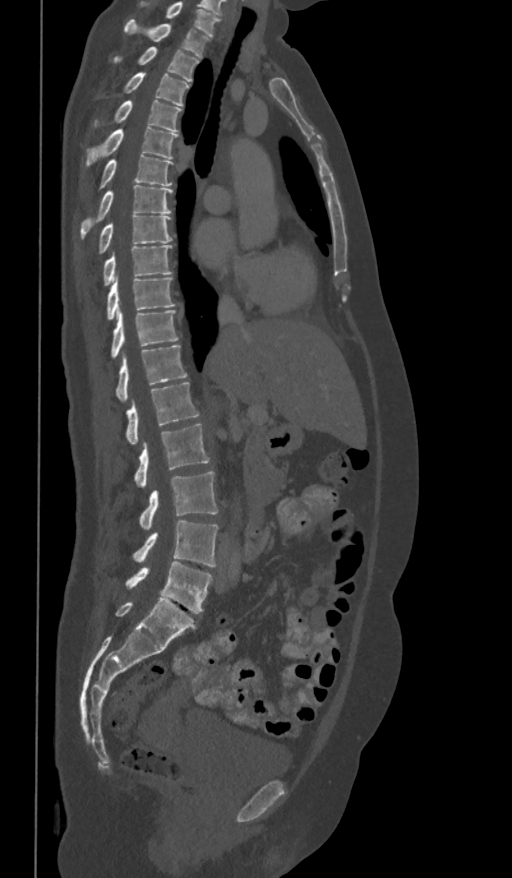

Spine computed tomography. sagittal view. image 361 mm wide. Bone window (WL 400, WW 1800). 512x878 px. Each box given as x1,y1,x2,y2. This scan's labels start at T1 at the top and end at L5 at the bottom. 17 vertebrae labeled — T1 at x1=125, y1=19, x2=210, y2=58; T2 at x1=113, y1=47, x2=199, y2=82; T3 at x1=123, y1=73, x2=189, y2=106; T4 at x1=92, y1=100, x2=182, y2=132; T5 at x1=85, y1=126, x2=177, y2=166; T6 at x1=99, y1=154, x2=173, y2=189; T7 at x1=81, y1=185, x2=172, y2=238; T8 at x1=98, y1=214, x2=172, y2=254; T9 at x1=103, y1=246, x2=172, y2=286; T10 at x1=106, y1=277, x2=175, y2=319; T11 at x1=110, y1=310, x2=179, y2=358; T12 at x1=115, y1=345, x2=187, y2=401; L1 at x1=126, y1=382, x2=199, y2=443; L2 at x1=135, y1=423, x2=209, y2=488; L3 at x1=139, y1=471, x2=219, y2=530; L4 at x1=132, y1=520, x2=219, y2=567; L5 at x1=126, y1=562, x2=213, y2=613.